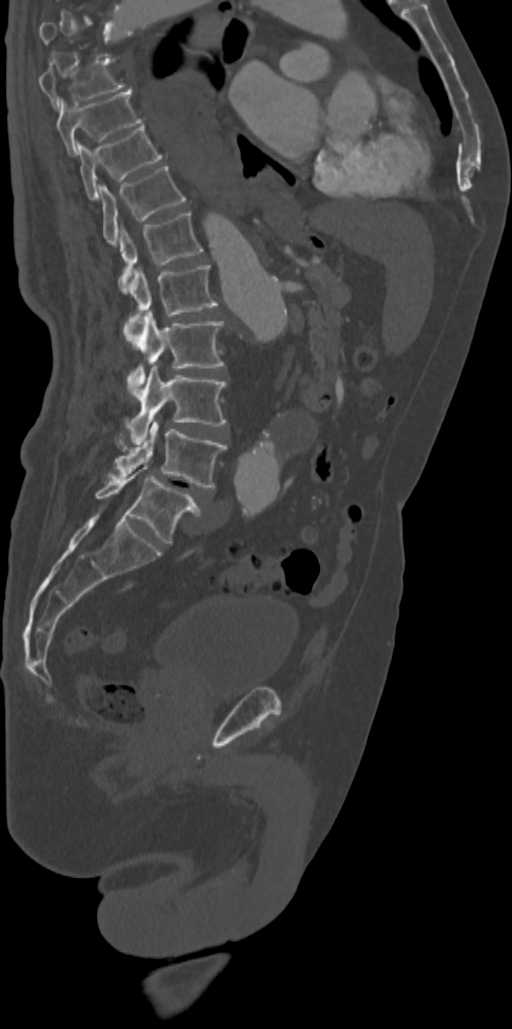

CT, spine; the image spans 342 mm across; sagittal view; bone-window reconstruction; 512x1029 px
A vertebra is boxed only from the first to the last slice where its cross-section is at least a third of its largest; slices outside that range leave it without a box.
<vertebrae><v name="T8" x1="39" y1="61" x2="123" y2="109"/><v name="T9" x1="57" y1="90" x2="143" y2="154"/><v name="T10" x1="76" y1="124" x2="162" y2="199"/><v name="T11" x1="99" y1="166" x2="186" y2="246"/><v name="T12" x1="118" y1="211" x2="202" y2="291"/><v name="L1" x1="124" y1="265" x2="217" y2="345"/><v name="L2" x1="127" y1="310" x2="223" y2="397"/><v name="L3" x1="127" y1="364" x2="226" y2="444"/><v name="L4" x1="109" y1="420" x2="226" y2="489"/><v name="L5" x1="96" y1="465" x2="201" y2="543"/></vertebrae>